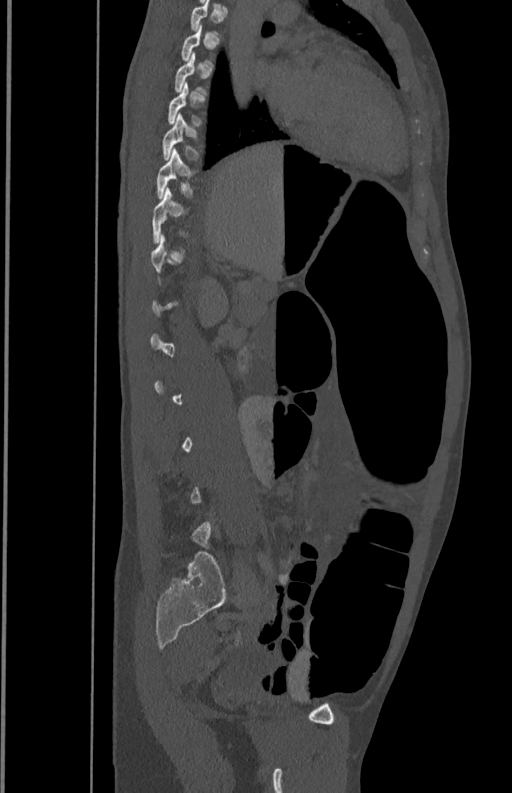 Spine CT · sagittal view · the image is 350 mm wide. Bounding boxes as [x1, y1, x2, y2] in pixel coordinates. A vertebra gets a box only on the slices from the first to the last where its cross-section is at least a third of its largest; on a slice outside that range it gets none. The labeled vertebrae in this slice are: T10 at [156, 149, 195, 199], T9 at [162, 113, 199, 160].